CT; Sagittal slice 84/135; Bone window (WL 400, WW 1800)
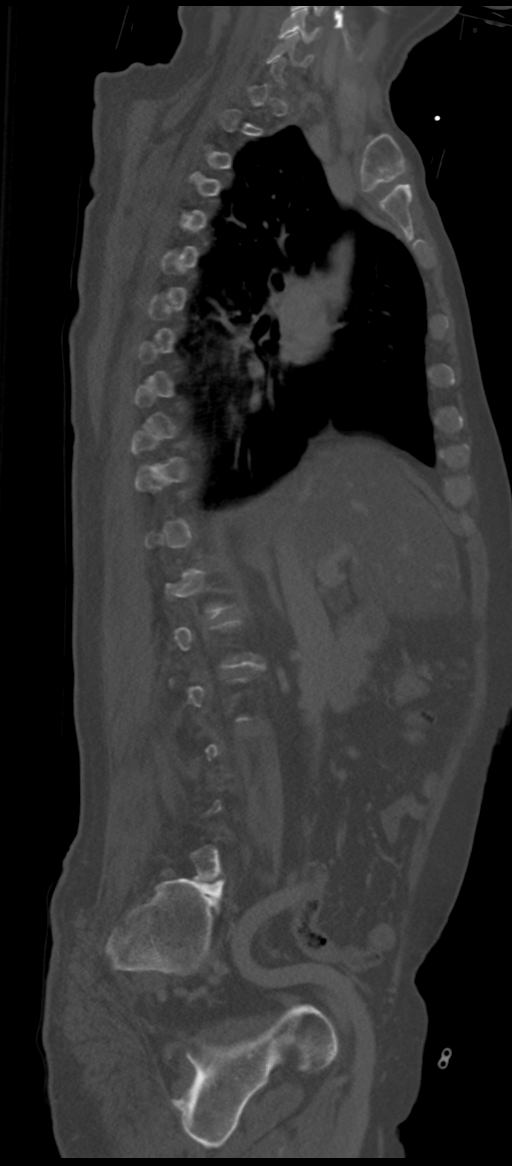 Boxes below are [x1, y1, x2, y2] in pixels.
Not every vertebra on this slice has a box: a vertebra is boxed only from the first to the last slice where its cross-section is at least a third of its largest, and this slice is outside that range for at least one of them.
{"vertebrae":{"C5":[280,8,317,40],"C6":[274,32,312,65]}}